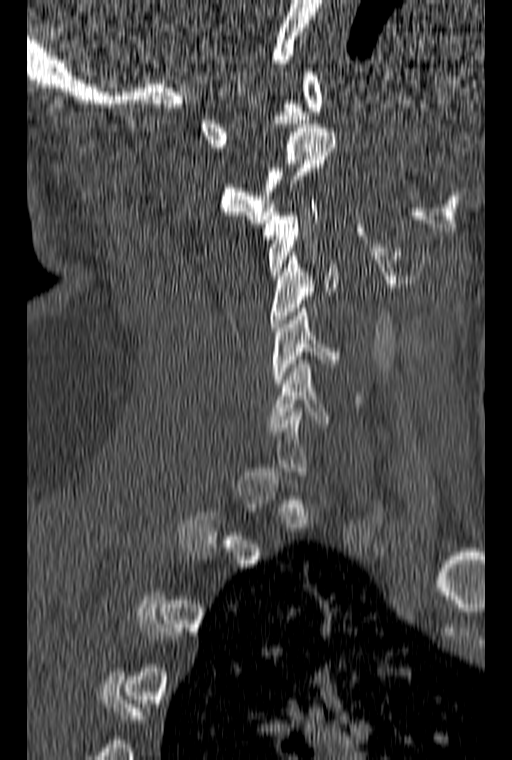
Computed tomography of the spine. 160 mm wide. sagittal view. W/L 1800/400 HU. Boxes are given in columns x1, y1, x2, y2, the pixel coordinates of their top-left and bottom-right corners.
A vertebra is boxed only from the first to the last slice where its cross-section is at least a third of its largest; slices outside that range leave it without a box.
| vertebra | x1 | y1 | x2 | y2 |
|---|---|---|---|---|
| C6 | 269 | 360 | 360 | 427 |
| C5 | 272 | 308 | 340 | 387 |
| C4 | 270 | 252 | 337 | 331 |
| C3 | 263 | 200 | 318 | 279 |
| C2 | 221 | 124 | 336 | 223 |
| C1 | 199 | 72 | 323 | 147 |